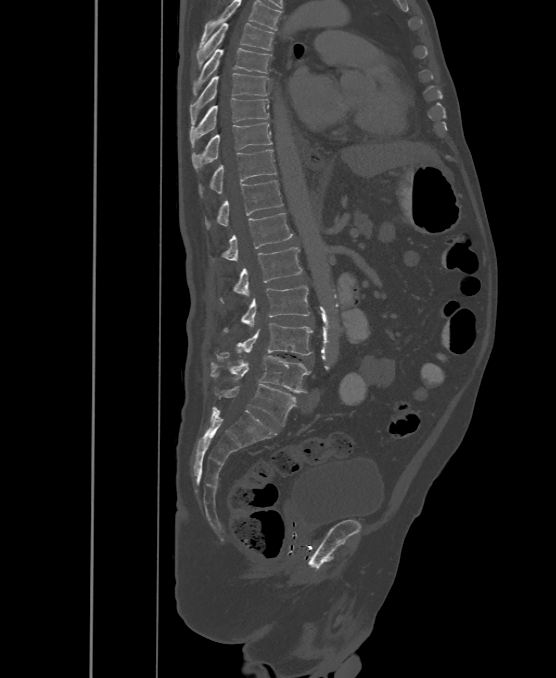 CT; sagittal view; 556x678 px

Each box given as x1,y1,x2,y2.
This scan's labels start at T6 at the top and end at L6 at the bottom.
These labels give the spine a sixth lumbar vertebra, L6, below L5.
Vertebra bounding boxes:
- T6: x1=196, y1=23, x2=274, y2=67
- T7: x1=193, y1=48, x2=271, y2=94
- T8: x1=190, y1=73, x2=269, y2=123
- T9: x1=190, y1=98, x2=269, y2=147
- T10: x1=192, y1=123, x2=271, y2=169
- T11: x1=200, y1=149, x2=276, y2=194
- T12: x1=205, y1=180, x2=282, y2=227
- L1: x1=222, y1=213, x2=292, y2=262
- L2: x1=221, y1=247, x2=303, y2=300
- L3: x1=224, y1=286, x2=309, y2=332
- L4: x1=217, y1=323, x2=313, y2=360
- L5: x1=211, y1=348, x2=310, y2=393
- L6: x1=215, y1=384, x2=295, y2=426